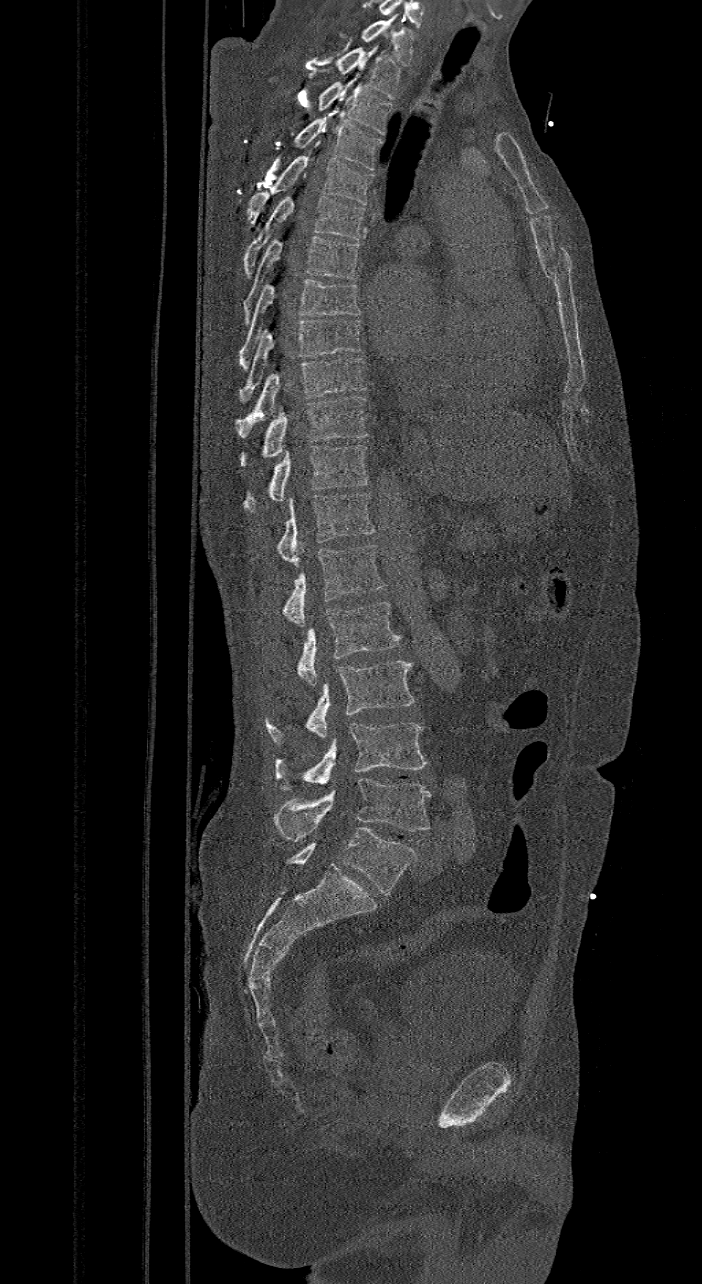 CT, spine. sagittal reformat. W/L 1800/400 HU
Box values are [left, top, right, bottom] in pixels.
The highest labeled vertebra in this scan is C7; the lowest is L6.
These labels give the spine a sixth lumbar vertebra, L6, below L5.
{"vertebrae":{"L6":[286,828,416,895],"L5":[275,778,431,842],"L4":[275,723,427,790],"L3":[264,661,414,745],"L2":[296,602,401,685],"L1":[284,545,384,626],"T12":[277,492,375,562],"T11":[243,444,369,511],"T10":[240,395,368,466],"T9":[234,357,368,437],"T8":[240,319,361,403],"T7":[238,278,361,372],"T6":[241,235,361,324],"T5":[243,195,365,278],"T4":[247,141,373,223],"T3":[293,118,383,170],"T2":[318,74,392,134],"T1":[334,47,401,98],"C7":[362,17,413,64]}}